Spine computed tomography — sagittal view — Bone window (WL 400, WW 1800) — 512x594 px
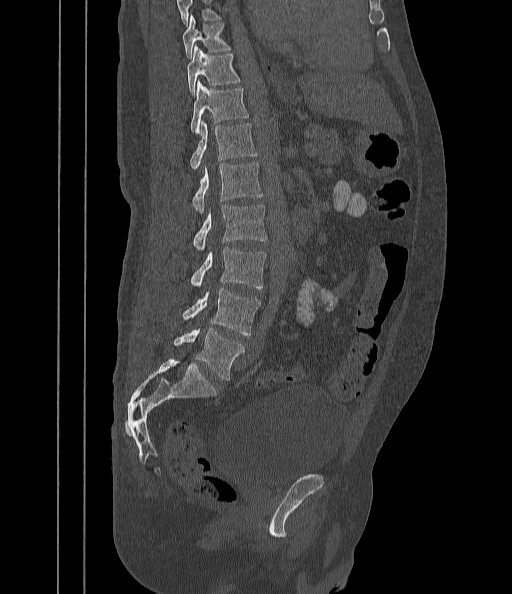

In the table, x1 and y1 are a box's top-left corner and x2 and y2 its bottom-right corner, in pixels.
Vertebrae that run past the top of the scan are left unlabeled.
| vertebra | x1 | y1 | x2 | y2 |
|---|---|---|---|---|
| T9 | 182 | 16 | 231 | 58 |
| T10 | 186 | 45 | 240 | 95 |
| T11 | 190 | 82 | 248 | 133 |
| T12 | 190 | 120 | 256 | 171 |
| L1 | 192 | 162 | 263 | 213 |
| L2 | 193 | 205 | 267 | 251 |
| L3 | 191 | 248 | 265 | 289 |
| L4 | 183 | 288 | 261 | 334 |
| L5 | 174 | 328 | 243 | 380 |